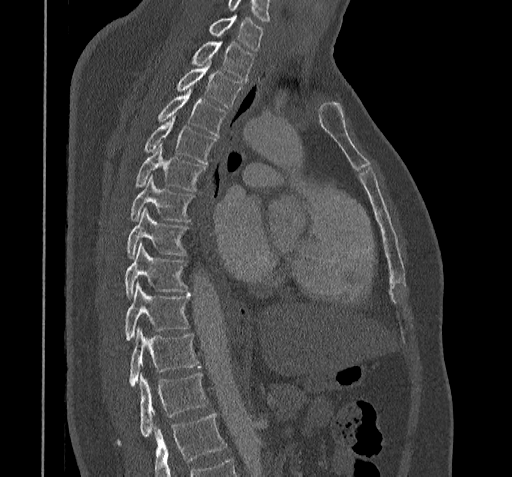

CT — sagittal reformat — bone-window reconstruction — 512x477 px
Columns x1, y1, x2, y2 give each box's top-left and bottom-right pixels.
Vertebrae that run past the bottom of the scan are left unlabeled.
The highest labeled vertebra in this scan is C7; the lowest is T11.
| vertebra | x1 | y1 | x2 | y2 |
|---|---|---|---|---|
| C7 | 208 | 16 | 263 | 51 |
| T1 | 191 | 42 | 253 | 81 |
| T2 | 176 | 60 | 242 | 108 |
| T3 | 156 | 90 | 226 | 136 |
| T4 | 143 | 116 | 215 | 164 |
| T5 | 135 | 145 | 206 | 191 |
| T6 | 130 | 176 | 194 | 221 |
| T7 | 127 | 209 | 188 | 258 |
| T8 | 124 | 243 | 188 | 298 |
| T9 | 124 | 282 | 190 | 341 |
| T10 | 128 | 328 | 197 | 387 |
| T11 | 116 | 374 | 207 | 445 |